Computed tomography of the spine · sagittal view · 512x550 px
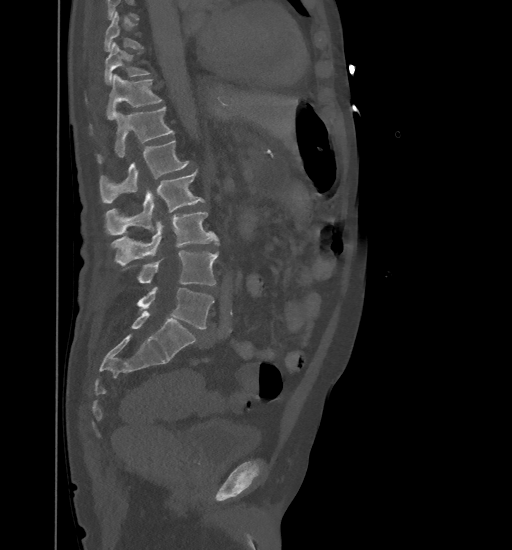

Coordinates as <box>x1,y1,x2,y2</box>.
A vertebra cut off by the top edge of the scan is not labeled and has no box.
Vertebra bounding boxes:
- L5: <box>137,287,214,329</box>
- L4: <box>124,251,217,286</box>
- L3: <box>111,212,218,265</box>
- L2: <box>105,170,204,235</box>
- L1: <box>100,140,189,202</box>
- T12: <box>98,107,173,162</box>
- T11: <box>90,74,162,134</box>
- T10: <box>104,42,150,84</box>
- T9: <box>104,12,143,51</box>